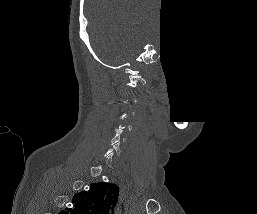 Computed tomography of the spine; sagittal view; a portion of the image is blanked out (constant pixel value)
Boxes are given in columns x1, y1, x2, y2, the pixel coordinates of their top-left and bottom-right corners.
Each vertebra is boxed only on the slices from the first to the last where its cross-section reaches a third of its largest, so a slice outside that range leaves it unboxed.
| vertebra | x1 | y1 | x2 | y2 |
|---|---|---|---|---|
| C5 | 110 | 130 | 125 | 144 |
| C1 | 127 | 75 | 146 | 87 |